Spine computed tomography — sagittal plane, index 201
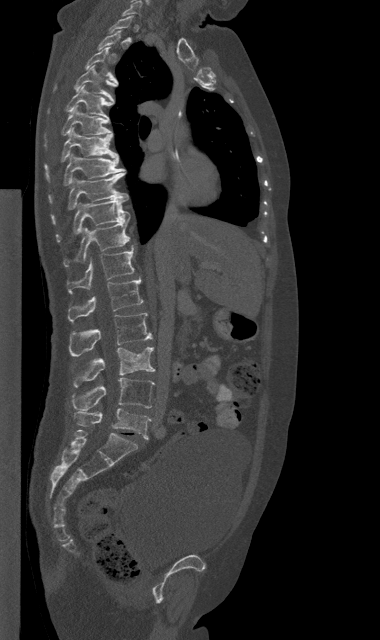 Each box given as x1,y1,x2,y2.
A vertebra gets a box only on the slices from the first to the last where its cross-section is at least a third of its largest; on a slice outside that range it gets none.
Vertebra bounding boxes:
- C7: x1=123, y1=1, x2=141, y2=15
- T3: x1=86, y1=47, x2=117, y2=83
- T4: x1=53, y1=66, x2=117, y2=101
- T5: x1=47, y1=85, x2=113, y2=118
- T6: x1=43, y1=107, x2=112, y2=147
- T7: x1=45, y1=128, x2=118, y2=182
- T8: x1=49, y1=153, x2=125, y2=199
- T9: x1=52, y1=172, x2=129, y2=225
- T10: x1=56, y1=198, x2=131, y2=241
- T11: x1=64, y1=220, x2=129, y2=266
- T12: x1=67, y1=245, x2=134, y2=293
- L1: x1=68, y1=278, x2=143, y2=322
- L2: x1=69, y1=313, x2=152, y2=356
- L3: x1=73, y1=347, x2=154, y2=387
- L4: x1=72, y1=377, x2=154, y2=410
- L5: x1=73, y1=408, x2=150, y2=439